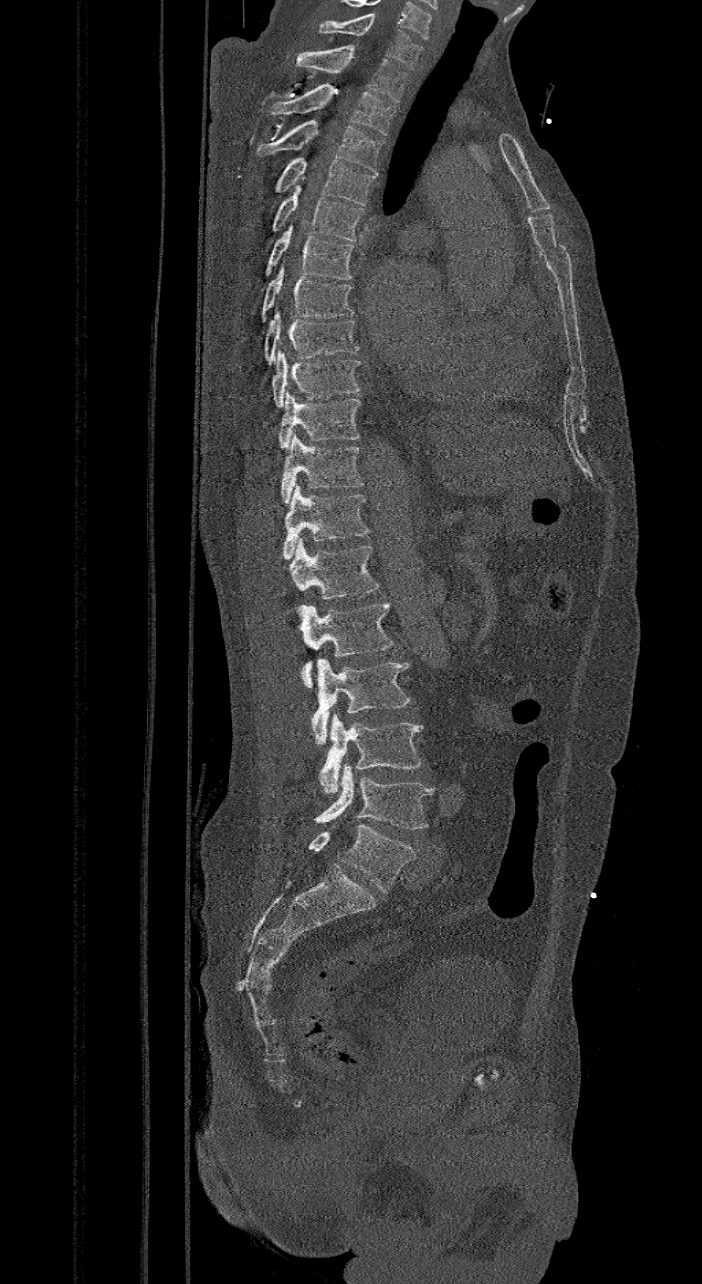

Computed tomography of the spine — the image spans 421 mm across — sagittal reformat — 702x1284 px. In the table, x1 and y1 are a box's top-left corner and x2 and y2 its bottom-right corner, in pixels.
These labels give the spine a sixth lumbar vertebra, L6, below L5.
| vertebra | x1 | y1 | x2 | y2 |
|---|---|---|---|---|
| C7 | 318 | 15 | 422 | 69 |
| T1 | 293 | 45 | 407 | 102 |
| T2 | 269 | 83 | 395 | 135 |
| T3 | 256 | 119 | 384 | 173 |
| T4 | 275 | 157 | 377 | 205 |
| T5 | 271 | 176 | 365 | 240 |
| T6 | 263 | 225 | 354 | 279 |
| T7 | 260 | 265 | 354 | 322 |
| T8 | 263 | 308 | 359 | 365 |
| T9 | 271 | 348 | 361 | 407 |
| T10 | 278 | 390 | 361 | 448 |
| T11 | 280 | 433 | 364 | 503 |
| T12 | 282 | 485 | 369 | 559 |
| L1 | 288 | 539 | 380 | 612 |
| L2 | 296 | 600 | 394 | 688 |
| L3 | 311 | 658 | 410 | 745 |
| L4 | 318 | 714 | 422 | 793 |
| L5 | 314 | 764 | 432 | 828 |
| L6 | 286 | 824 | 416 | 893 |